Spine CT. sagittal view. 197x180 px. 197 mm across the image. scan covers 9 annotated vertebrae. part of the image has been replaced by a constant value
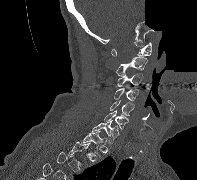

Boxes below are [x1, y1, x2, y2] in pixels.
A vertebra is boxed only from the first to the last slice where its cross-section is at least a third of its largest; slices outside that range leave it without a box.
{"vertebrae":{"C1":[111,42,151,56],"C2":[115,57,147,76],"C3":[117,73,143,86],"C4":[114,88,139,101],"C5":[110,100,134,115],"C6":[104,110,128,129],"C7":[92,120,119,143],"T1":[82,130,106,156]}}